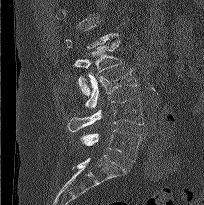

Computed tomography of the spine · sagittal reformat
Coordinates as <box>x1,y1,x2,y2</box>.
A vertebra gets a box only on the slices from the first to the last where its cross-section is at least a third of its largest; on a slice outside that range it gets none.
Vertebra bounding boxes:
- L2: <box>73,39,122,95</box>
- L3: <box>84,68,137,108</box>
- L4: <box>68,98,144,131</box>
- L5: <box>70,130,141,161</box>